CT, spine — sagittal view — bone window
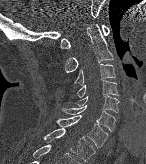

Each box given as x1,y1,x2,y2.
C1: x1=60, y1=25, x2=109, y2=48
C2: x1=65, y1=24, x2=113, y2=72
C3: x1=74, y1=63, x2=115, y2=86
C4: x1=76, y1=79, x2=119, y2=97
C5: x1=75, y1=94, x2=119, y2=112
C6: x1=62, y1=104, x2=115, y2=131
C7: x1=56, y1=115, x2=108, y2=147
T1: x1=43, y1=128, x2=95, y2=162